Spine CT — sagittal reformat — 616x616 px — scan covers 7 annotated vertebrae
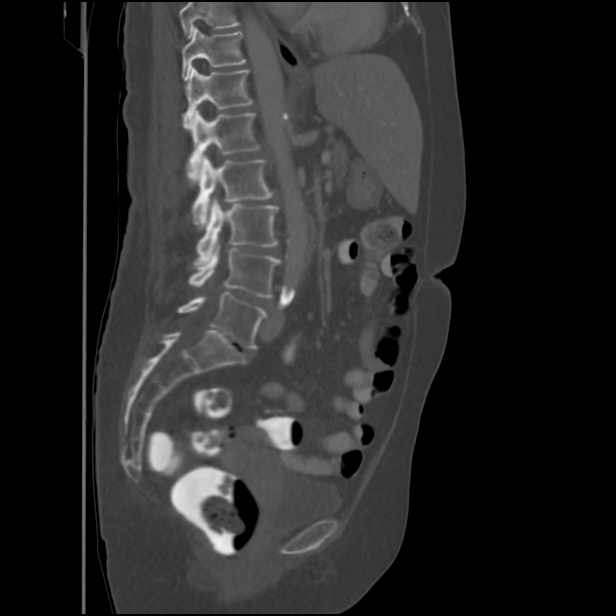
Each box is [x1, y1, x2, y2] in pixels: top-left corner, then bottom-right corner.
No box is given to a vertebra that the top edge of the scan cuts off.
{"vertebrae":{"L5":[178,293,266,349],"L4":[189,243,280,297],"L3":[195,198,279,265],"L2":[192,155,273,228],"L1":[186,111,259,181],"T12":[184,67,252,127],"T11":[182,28,245,80]}}